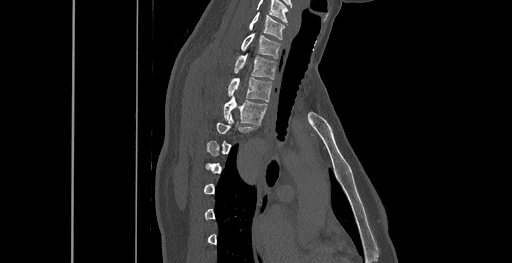

CT, spine; sagittal view; the image spans 461 mm across. Bounding boxes as [x1, y1, x2, y2] in pixel coordinates. Not every vertebra on this slice has a box: a vertebra is boxed only from the first to the last slice where its cross-section is at least a third of its largest, and this slice is outside that range for at least one of them. In this scan, the topmost labeled vertebra is C6 and the lowest is T8. 5 vertebrae labeled — C6 at [249, 12, 284, 39]; C7 at [240, 33, 280, 58]; T1 at [234, 55, 276, 79]; T2 at [228, 77, 272, 101]; T3 at [224, 96, 266, 123].